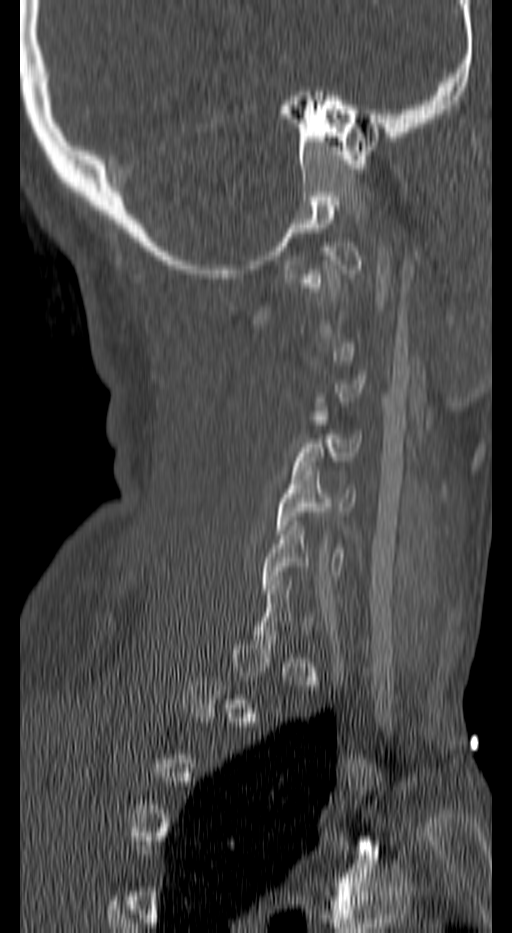 CT spine. 140 mm image width. sagittal view. Bone window (WL 400, WW 1800). 512x933 px
Boxes: x1:y1:x2:y2 in pixels.
Not every vertebra on this slice has a box: a vertebra is boxed only from the first to the last slice where its cross-section is at least a third of its largest, and this slice is outside that range for at least one of them.
Vertebra bounding boxes:
- C4: 294:434:362:470
- C5: 276:466:355:534
- C6: 261:521:344:593